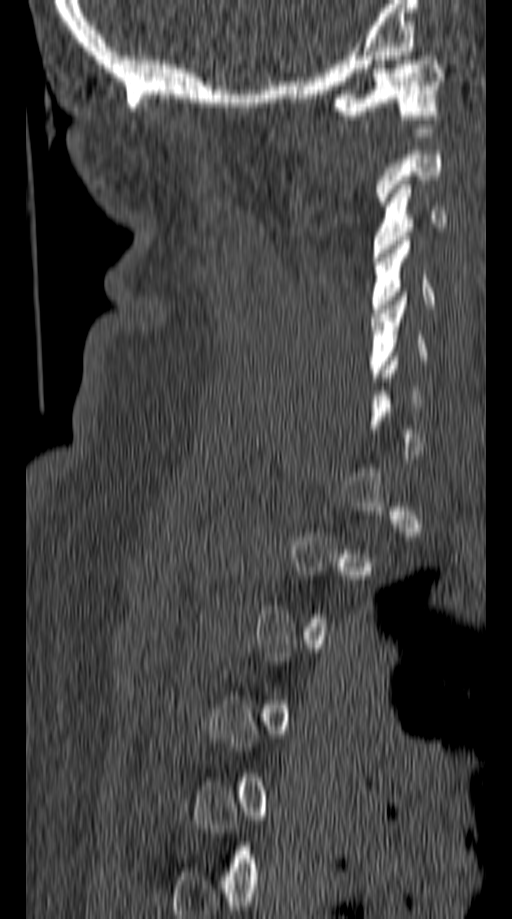 Computed tomography of the spine — image width 149 mm — sagittal view — bone-window reconstruction

Each box given as x1,y1,x2,y2.
A vertebra is boxed only from the first to the last slice where its cross-section is at least a third of its largest; slices outside that range leave it without a box.
C1: x1=330, y1=56, x2=443, y2=119
C3: x1=372, y1=180, x2=447, y2=257
C4: x1=372, y1=236, x2=433, y2=317
C5: x1=369, y1=292, x2=426, y2=381